Spine computed tomography; sagittal reformat; 382 mm across the image; bone-window reconstruction; 382x541 px
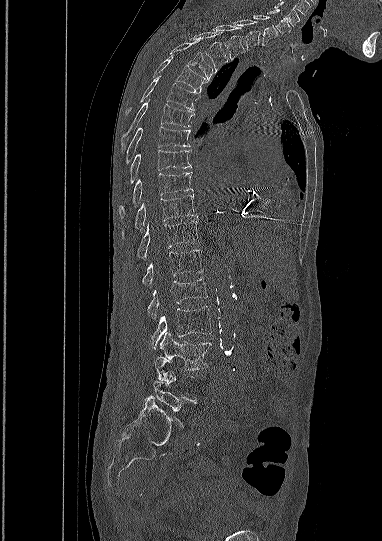

Boxes: x1 y1 x2 y2 (pixel coords, space-separated).
Each vertebra is boxed only on the slices from the first to the last where its cross-section reaches a third of its largest, so a slice outside that range leaves it unboxed.
L5: 153 379 195 428
L3: 160 332 211 369
L2: 151 306 211 348
L1: 148 279 207 319
T12: 142 250 202 285
T11: 137 220 198 258
T10: 123 194 196 239
T9: 119 172 193 218
T8: 129 150 190 183
T7: 126 127 190 163
T6: 121 103 194 149
T5: 125 76 199 111
T4: 153 55 207 92
T3: 170 43 213 81
T2: 190 32 229 72
T1: 213 25 244 59
C7: 234 20 260 50
C6: 253 15 277 46
C5: 267 9 291 35